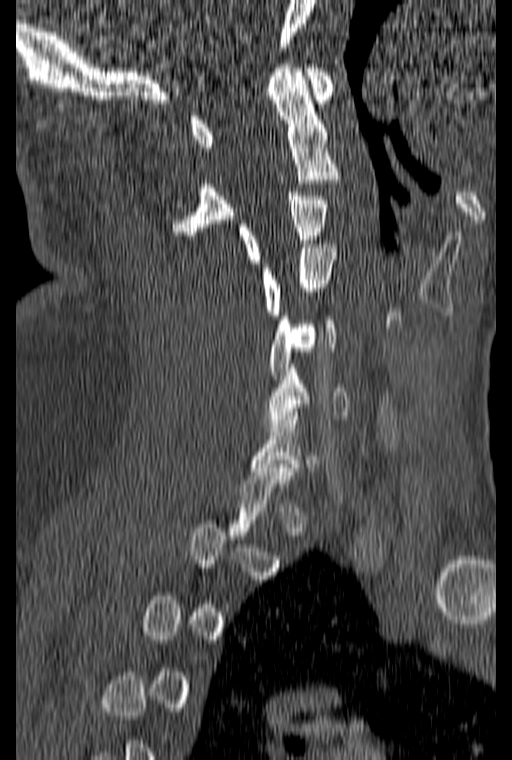
Spine CT. sagittal view
Boxes below are [x1, y1, x2, y2] in pixels.
A vertebra is boxed only from the first to the last slice where its cross-section is at least a third of its largest; slices outside that range leave it without a box.
{"vertebrae":{"C6":[264,364,347,427],"C5":[269,312,336,379],"C4":[260,244,336,315],"C3":[238,192,327,263],"C2":[172,64,341,235],"C1":[191,64,334,147]}}